Spine computed tomography · sagittal view · image 140 mm wide
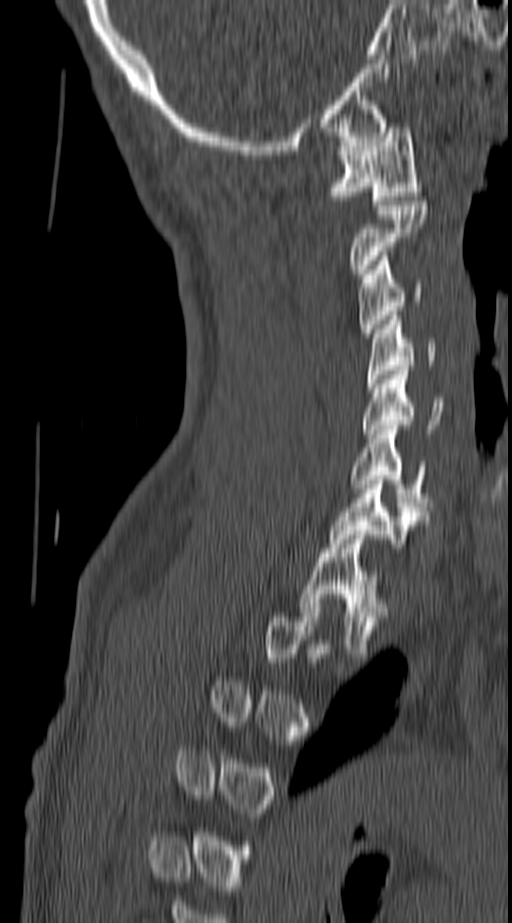

Boxes: x1 y1 x2 y2 (pixel coords, space-separated).
A vertebra gets a box only on the slices from the first to the last where its cross-section is at least a third of its largest; on a slice outside that range it gets none.
Vertebra bounding boxes:
- T1: 298 530 388 653
- C7: 330 480 426 548
- C6: 350 425 426 511
- C5: 363 370 451 438
- C4: 367 315 436 388
- C3: 358 256 423 333
- C2: 349 201 428 273
- C1: 330 123 421 205